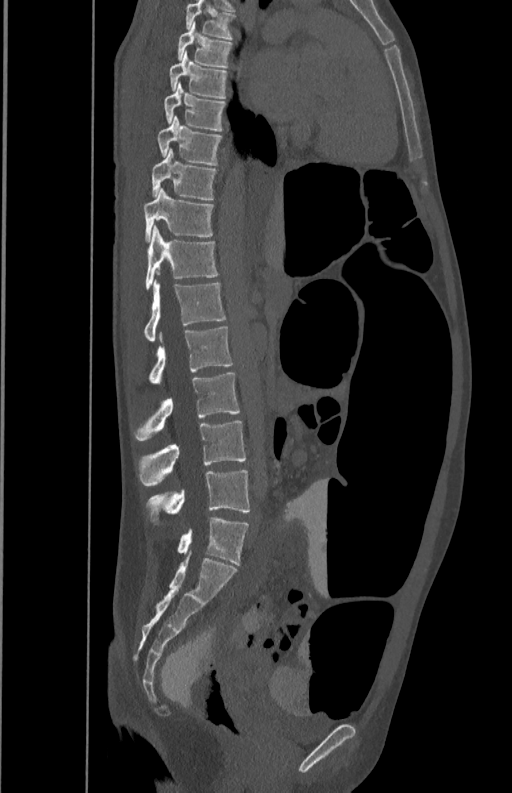 CT spine. sagittal view

Columns x1, y1, x2, y2 give each box's top-left and bottom-right pixels.
| vertebra | x1 | y1 | x2 | y2 |
|---|---|---|---|---|
| T5 | 186 | 1 | 236 | 40 |
| T6 | 177 | 21 | 231 | 67 |
| T7 | 169 | 53 | 227 | 98 |
| T8 | 164 | 83 | 226 | 131 |
| T9 | 158 | 116 | 223 | 164 |
| T10 | 152 | 147 | 217 | 199 |
| T11 | 143 | 187 | 214 | 241 |
| T12 | 145 | 225 | 218 | 290 |
| L1 | 143 | 280 | 226 | 341 |
| L2 | 149 | 327 | 233 | 383 |
| L3 | 134 | 373 | 240 | 440 |
| L4 | 137 | 421 | 246 | 486 |
| L5 | 146 | 469 | 249 | 524 |